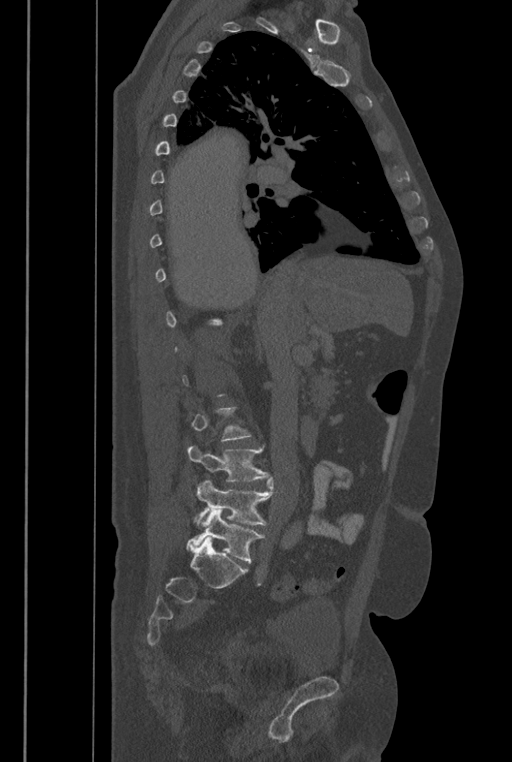

Spine computed tomography — sagittal view
A vertebra gets a box only on the slices from the first to the last where its cross-section is at least a third of its largest; on a slice outside that range it gets none.
In these labels the spine has an L6, a sixth lumbar vertebra below L5.
<vertebrae><v name="L4" x1="187" y1="445" x2="270" y2="481"/><v name="L5" x1="194" y1="476" x2="273" y2="525"/><v name="L6" x1="186" y1="508" x2="264" y2="563"/></vertebrae>